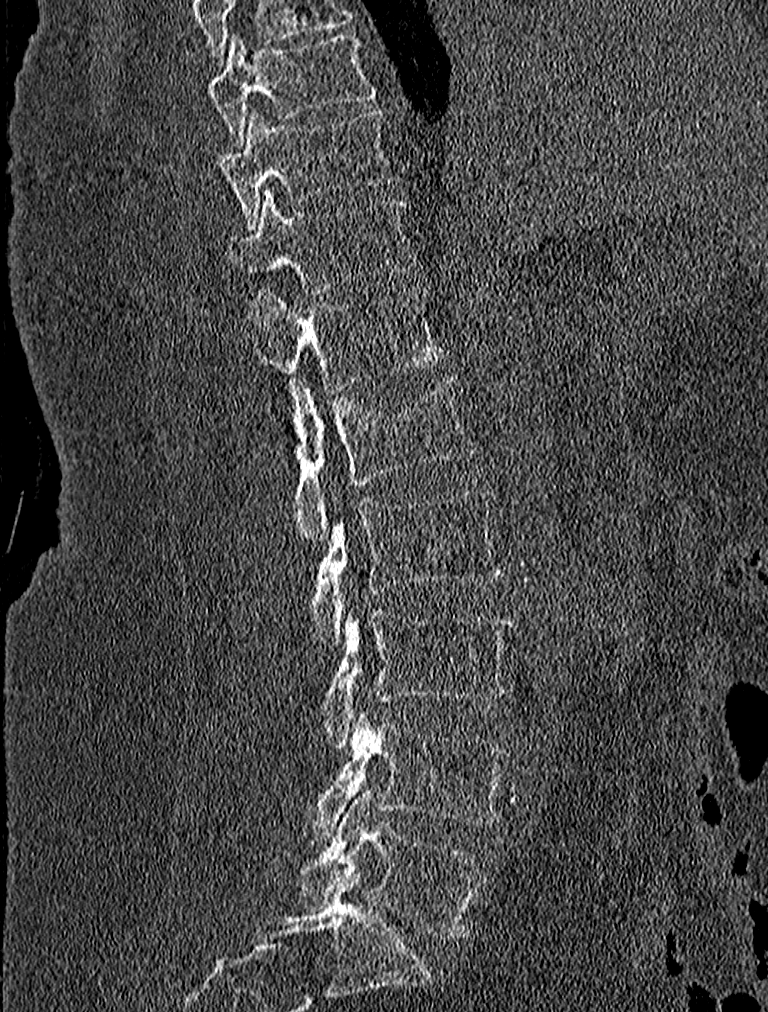
Spine CT · sagittal view · Bone window (WL 400, WW 1800) · 768x1012 px
Each vertebra maps to its box as [x1, y1, x2, y2], the pixel coordinates of its top-left and bottom-right corners.
{"vertebrae":{"T9":[209,30,377,148],"T10":[219,108,394,226],"T11":[227,190,411,290],"T12":[252,288,444,434],"L1":[264,376,475,544],"L2":[310,487,502,648],"L3":[320,611,512,748],"L4":[300,713,508,839],"L5":[300,790,485,938]}}